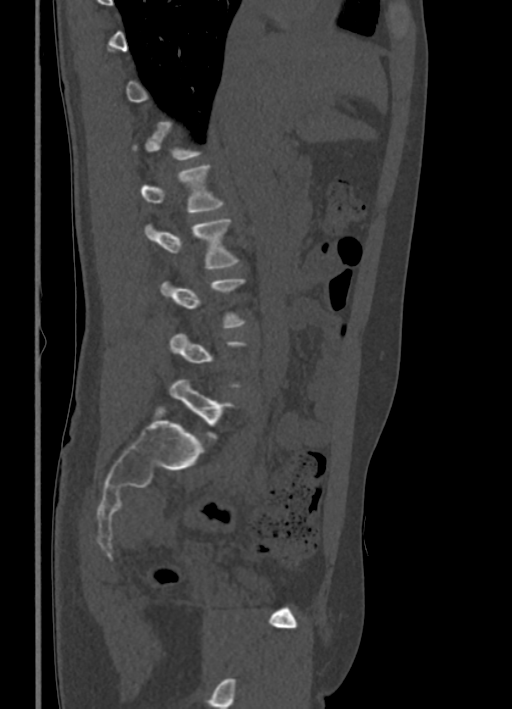 Computed tomography of the spine. sagittal reformat. 336 mm image width. 512x709 px

Each box given as x1,y1,x2,y2. Each vertebra is boxed only on the slices from the first to the last where its cross-section reaches a third of its largest, so a slice outside that range leaves it unboxed. Vertebrae labeled: L1 at x1=140, y1=165, x2=223, y2=212, L2 at x1=145, y1=220, x2=238, y2=269, L5 at x1=169, y1=379, x2=232, y2=438.